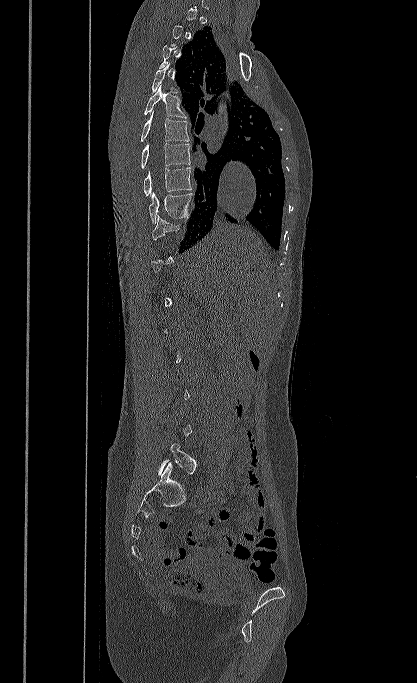
CT — sagittal view
Each vertebra is boxed only on the slices from the first to the last where its cross-section reaches a third of its largest, so a slice outside that range leaves it unboxed.
<vertebrae><v name="T4" x1="152" y1="63" x2="178" y2="93"/><v name="T5" x1="144" y1="84" x2="186" y2="118"/><v name="T6" x1="141" y1="111" x2="189" y2="141"/><v name="T7" x1="141" y1="143" x2="190" y2="168"/><v name="T8" x1="143" y1="167" x2="191" y2="196"/><v name="T9" x1="149" y1="192" x2="193" y2="223"/><v name="L5" x1="158" y1="443" x2="196" y2="474"/></vertebrae>